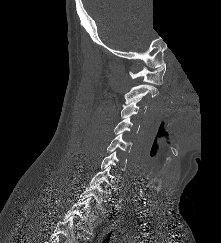

CT spine — sagittal view — bone window — a region is blanked to uniform black, ending in a straight edge

Each box given as x1,y1,x2,y2.
Vertebra bounding boxes:
- T2: x1=63, y1=197, x2=99, y2=236
- T1: x1=79, y1=181, x2=110, y2=209
- C7: x1=89, y1=165, x2=119, y2=191
- C6: x1=101, y1=151, x2=126, y2=170
- C5: x1=107, y1=133, x2=132, y2=153
- C4: x1=114, y1=117, x2=139, y2=134
- C3: x1=120, y1=98, x2=147, y2=118
- C2: x1=124, y1=84, x2=158, y2=103
- C1: x1=129, y1=63, x2=165, y2=84